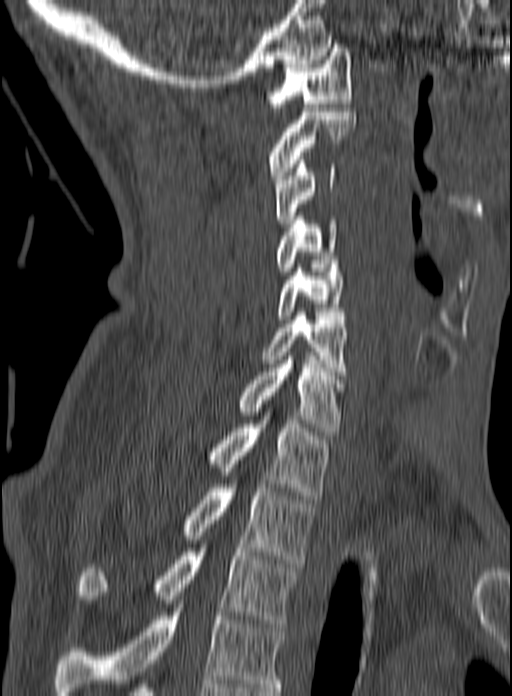 CT; sagittal reformat; 512x696 px. Coordinates as <box>x1,y1,x2,y2</box>. This scan's labels start at C1 at the top and end at T3 at the bottom. The labeled vertebrae in this slice are: C1 at <box>266,48,352,111</box>, C2 at <box>267,112,356,179</box>, C3 at <box>275,156,335,231</box>, C4 at <box>276,212,337,275</box>, C5 at <box>278,264,344,319</box>, C6 at <box>262,308,347,379</box>, C7 at <box>238,356,343,435</box>, T1 at <box>209,416,331,499</box>, T2 at <box>184,480,314,563</box>, T3 at <box>78,548,298,627</box>.